CT, spine. Sagittal slice 181/512. bone-window reconstruction. 11 vertebrae labeled in this scan
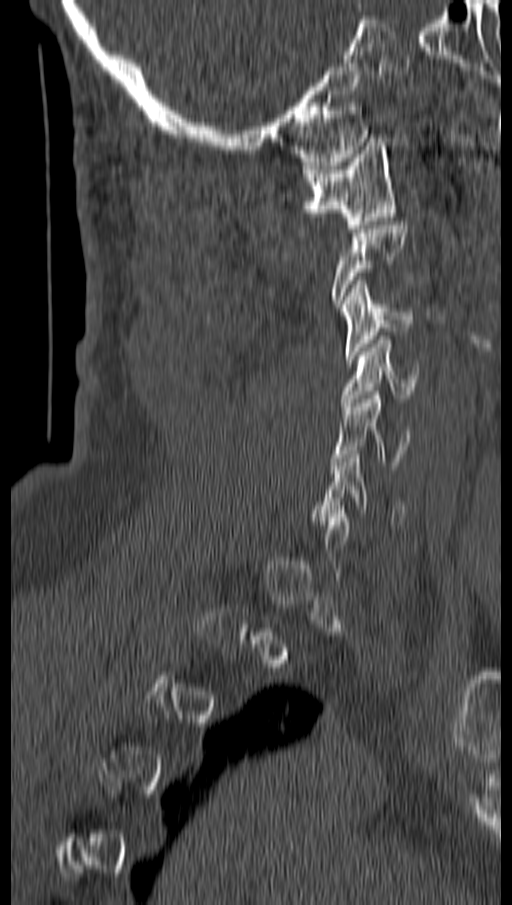
Box edges are left/top/right/bottom in pixels.
A vertebra is boxed only from the first to the last slice where its cross-section is at least a third of its largest; slices outside that range leave it without a box.
C1: left=302, top=138, right=395, bottom=232
C3: left=340, top=280, right=412, bottom=362
C4: left=342, top=336, right=418, bottom=406
C5: left=333, top=391, right=409, bottom=469